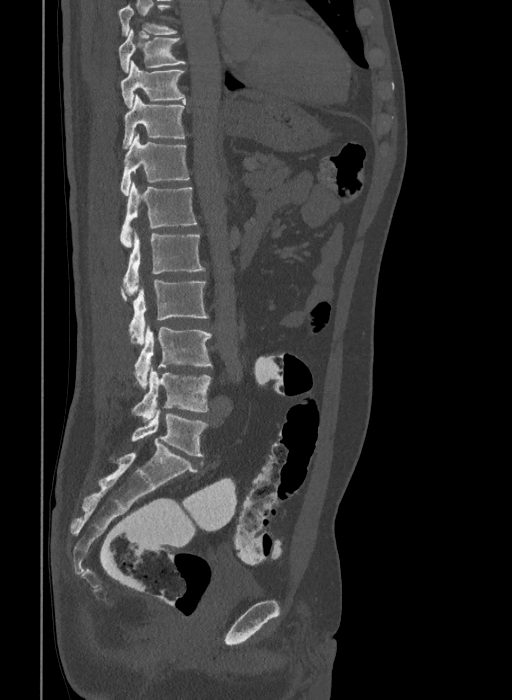
CT. sagittal view. W/L 1800/400 HU. 512x700 px

Boxes are given in columns x1, y1, x2, y2, the pixel coordinates of their top-left and bottom-right corners.
This scan's labels start at T9 at the top and end at L6 at the bottom.
These labels give the spine a sixth lumbar vertebra, L6, below L5.
| vertebra | x1 | y1 | x2 | y2 |
|---|---|---|---|---|
| T9 | 119 | 28 | 187 | 73 |
| T10 | 121 | 60 | 185 | 108 |
| T11 | 122 | 95 | 187 | 148 |
| T12 | 120 | 134 | 189 | 195 |
| L1 | 119 | 183 | 197 | 247 |
| L2 | 123 | 232 | 205 | 295 |
| L3 | 120 | 281 | 208 | 344 |
| L4 | 134 | 326 | 212 | 389 |
| L5 | 131 | 367 | 212 | 420 |
| L6 | 131 | 409 | 208 | 456 |